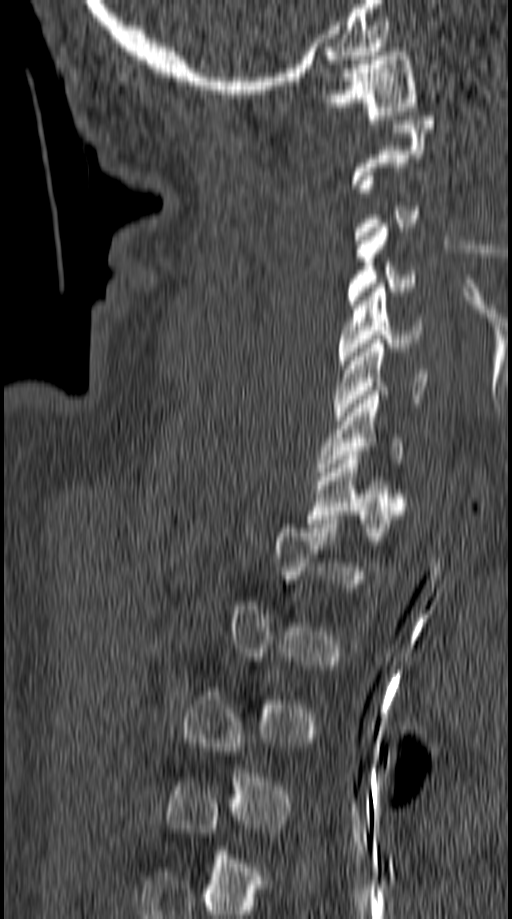
Spine CT. sagittal view. Bone window (WL 400, WW 1800). 512x919 px
Each vertebra is boxed only on the slices from the first to the last where its cross-section reaches a third of its largest, so a slice outside that range leaves it unboxed.
<vertebrae><v name="C1" x1="321" y1="52" x2="418" y2="119"/><v name="C4" x1="346" y1="223" x2="416" y2="308"/><v name="C5" x1="338" y1="283" x2="423" y2="364"/><v name="C6" x1="333" y1="339" x2="428" y2="420"/><v name="C7" x1="317" y1="387" x2="402" y2="476"/><v name="T1" x1="307" y1="451" x2="404" y2="536"/></vertebrae>